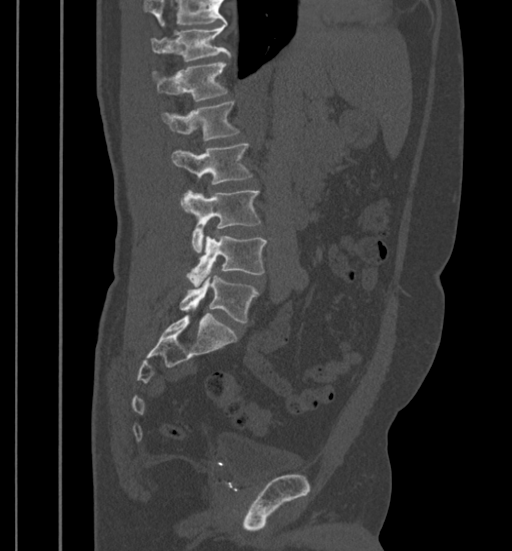 Spine CT — sagittal view
Boxes are (x1, y1, x2, y2) in pixels. Vertebrae that run past the top of the scan are left unlabeled. 7 vertebrae labeled — L5 at (180, 275, 258, 322); L4 at (187, 236, 266, 286); L3 at (181, 190, 261, 253); L2 at (172, 144, 252, 185); L1 at (162, 101, 239, 140); T12 at (151, 62, 227, 102); T11 at (151, 25, 230, 62).